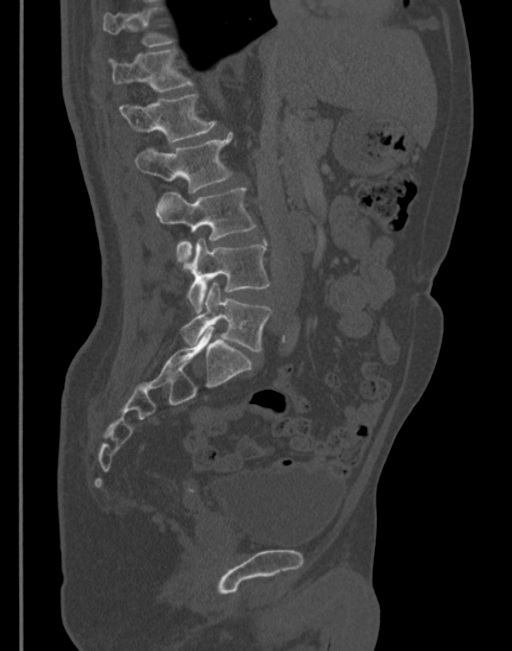
CT. sagittal reformat. Bone window (WL 400, WW 1800)

Boxes below are [x1, y1, x2, y2] in pixels.
Each vertebra is boxed only on the slices from the first to the last where its cross-section reaches a third of its largest, so a slice outside that range leaves it unboxed.
{"vertebrae":{"T12":[111,50,192,92],"L1":[120,94,215,143],"L2":[135,133,232,193],"L3":[156,188,255,267],"L4":[187,239,269,311],"L5":[181,281,272,352]}}